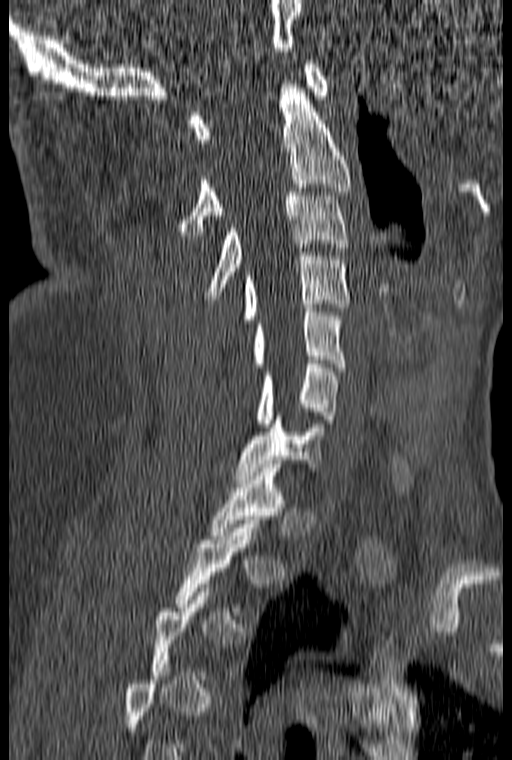 CT, spine · 160 mm wide · sagittal view · Bone window (WL 400, WW 1800) · 512x760 px
Boxes are (x1, y1, x2, y2) in pixels.
A vertebra is boxed only from the first to the last slice where its cross-section is at least a third of its largest; slices outside that range leave it without a box.
Vertebra bounding boxes:
- C1: (189, 60, 328, 143)
- C2: (178, 84, 352, 235)
- C3: (206, 192, 349, 299)
- C4: (244, 256, 349, 319)
- C5: (252, 308, 345, 371)
- C6: (256, 360, 336, 427)
- C7: (234, 416, 323, 479)
- T1: (209, 464, 285, 539)